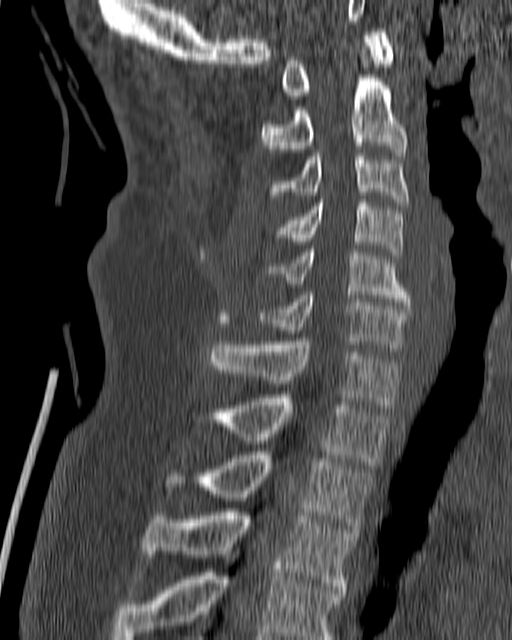 Spine computed tomography; image width 180 mm; sagittal view; 512x640 px
Each box given as x1,y1,x2,y2.
C1: x1=281, y1=28, x2=394, y2=95
C2: x1=261, y1=60, x2=407, y2=155
C3: x1=270, y1=153, x2=409, y2=205
C4: x1=274, y1=199, x2=404, y2=255
C5: x1=268, y1=249, x2=410, y2=305
C6: x1=254, y1=292, x2=410, y2=347
C7: x1=209, y1=338, x2=398, y2=408
T1: x1=211, y1=395, x2=390, y2=465
T2: x1=203, y1=452, x2=373, y2=532
T3: x1=143, y1=508, x2=355, y2=593
T4: x1=112, y1=555, x2=344, y2=639